Computed tomography of the spine; sagittal view; 512x696 px
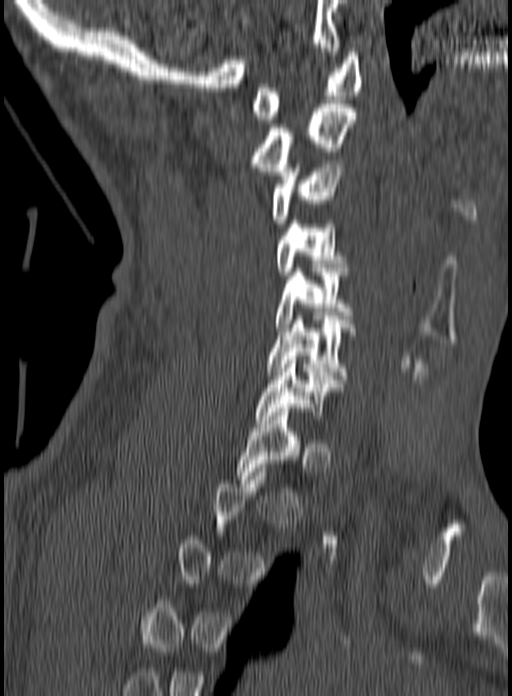

A vertebra is boxed only from the first to the last slice where its cross-section is at least a third of its largest; slices outside that range leave it without a box.
<vertebrae><v name="C1" x1="252" y1="52" x2="362" y2="119"/><v name="C2" x1="251" y1="104" x2="355" y2="179"/><v name="C3" x1="270" y1="160" x2="343" y2="223"/><v name="C4" x1="276" y1="220" x2="347" y2="279"/><v name="C5" x1="276" y1="272" x2="352" y2="331"/><v name="C6" x1="266" y1="316" x2="356" y2="383"/><v name="C7" x1="256" y1="360" x2="336" y2="423"/><v name="T1" x1="235" y1="408" x2="300" y2="479"/></vertebrae>